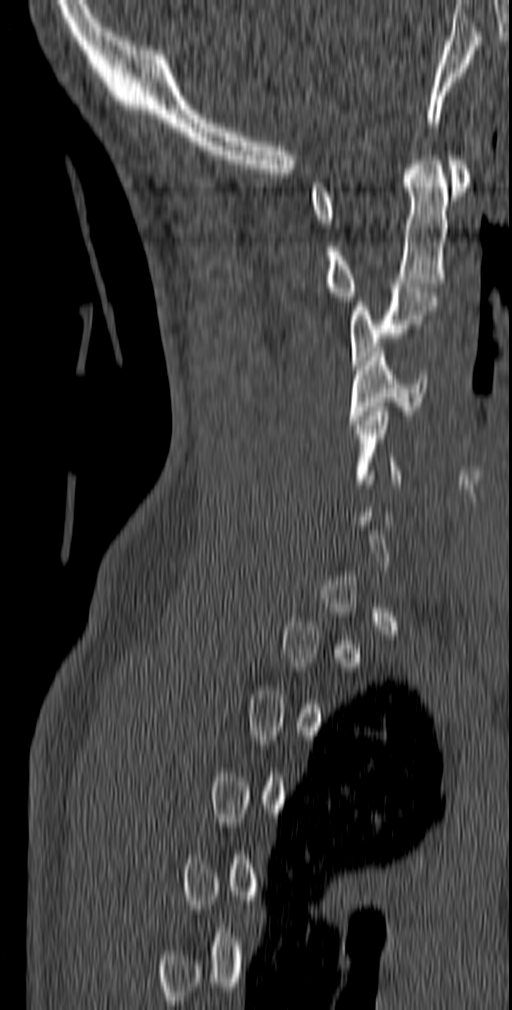
Computed tomography of the spine — sagittal view — bone-window reconstruction — 512x1010 px
Boxes: x1 y1 x2 y2 (pixel coords, space-separated). A vertebra gets a box only on the slices from the first to the last where its cross-section is at least a third of its largest; on a slice outside that range it gets none. The labeled vertebrae in this slice are: C1 at 310 155 470 223, C2 at 325 151 448 301, C3 at 349 283 437 369, C4 at 348 347 427 424, C5 at 353 407 402 484.